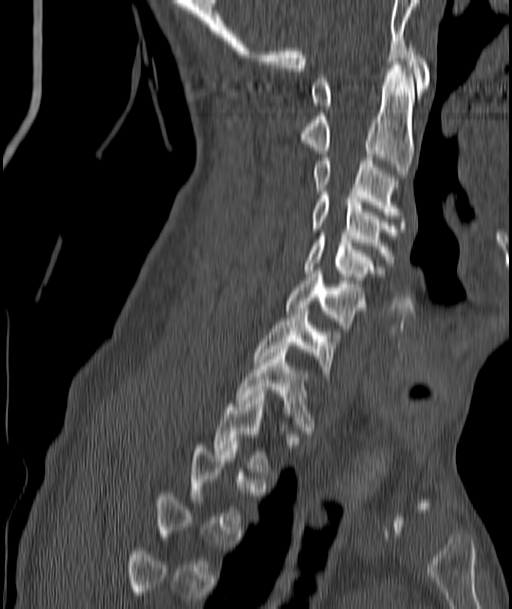
Spine CT; sagittal view
Boxes: x1:y1:x2:y2 in pixels. A vertebra is boxed only from the first to the last slice where its cross-section is at least a third of its largest; slices outside that range leave it without a box. The labeled vertebrae in this slice are: T2 at 214:394:274:471, T1 at 236:349:315:437, C7 at 255:308:337:382, C6 at 286:274:364:331, C5 at 305:233:378:286, C4 at 310:192:397:263, C3 at 313:157:402:218, C2 at 299:65:414:174, C1 at 310:44:430:109.